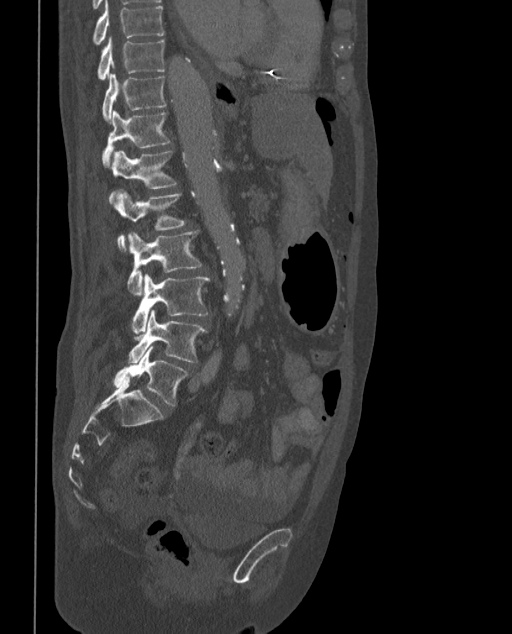
Computed tomography of the spine · sagittal view · bone window
The labels name a sixth lumbar vertebra for this spine: L6, after L5.
<vertebrae><v name="L6" x1="112" y1="346" x2="187" y2="405"/><v name="L5" x1="128" y1="310" x2="206" y2="362"/><v name="L4" x1="132" y1="274" x2="209" y2="335"/><v name="L3" x1="127" y1="230" x2="202" y2="294"/><v name="L2" x1="114" y1="189" x2="185" y2="251"/><v name="L1" x1="109" y1="151" x2="177" y2="203"/><v name="T12" x1="101" y1="110" x2="170" y2="165"/><v name="T11" x1="103" y1="73" x2="166" y2="123"/><v name="T10" x1="97" y1="36" x2="164" y2="79"/><v name="T9" x1="93" y1="1" x2="164" y2="43"/></vertebrae>